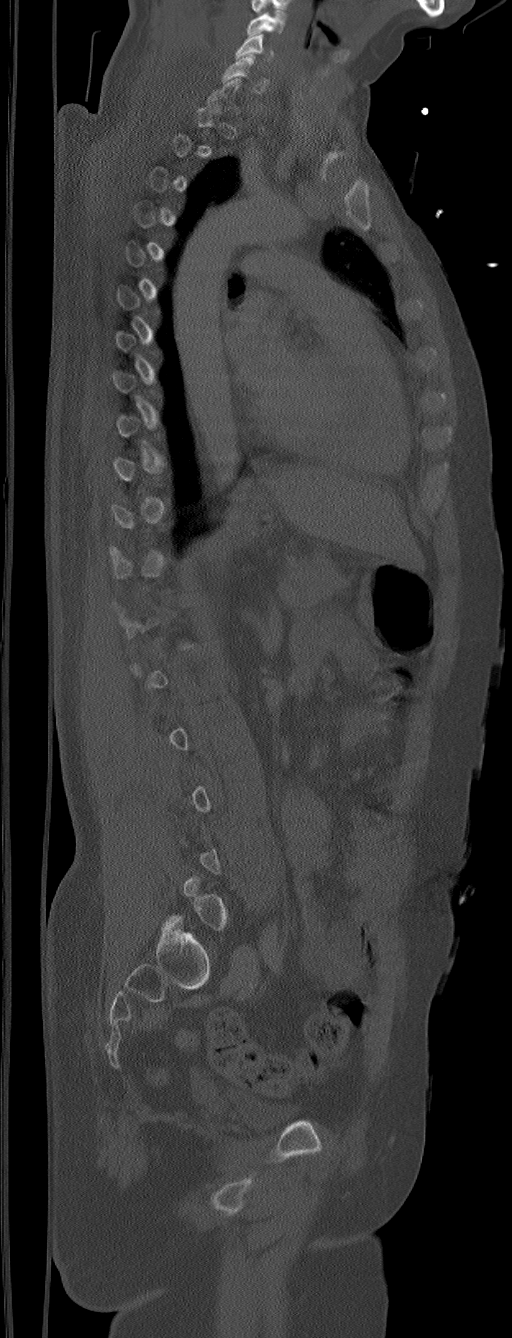
CT spine · sagittal view · W/L 1800/400 HU · 512x1338 px. Bounding boxes as [x1, y1, x2, y2] in pixel coordinates.
A vertebra is boxed only from the first to the last slice where its cross-section is at least a third of its largest; slices outside that range leave it without a box.
In this scan, the topmost labeled vertebra is C5 and the lowest is L6.
Vertebra bounding boxes:
- C5: [235, 34, 274, 61]
- C6: [222, 54, 269, 93]